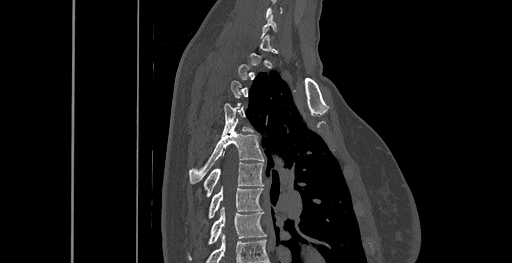
Spine computed tomography — sagittal reformat — 512x263 px

Each box given as x1,y1,x2,y2. A vertebra is boxed only from the first to the last slice where its cross-section is at least a third of its largest; slices outside that range leave it without a box. Vertebrae labeled: T8 at x1=188, y1=207, x2=266, y2=259, T7 at x1=207, y1=187, x2=262, y2=219, T6 at x1=203, y1=162, x2=263, y2=198, T5 at x1=189, y1=125, x2=263, y2=184, T4 at x1=222, y1=103, x2=251, y2=135.